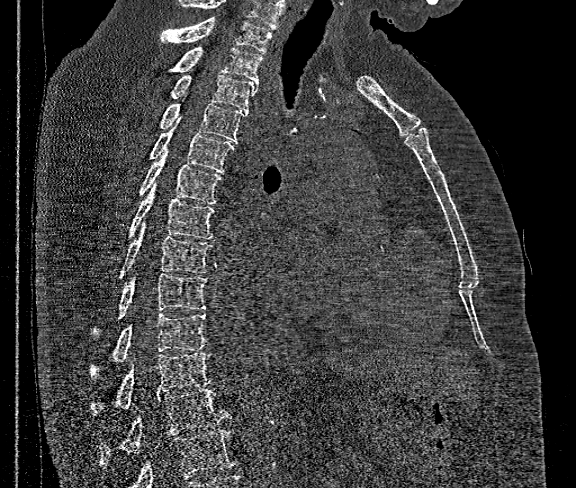

CT · sagittal view · W/L 1800/400 HU
No box is given to a vertebra that the bottom edge of the scan cuts off.
This scan's labels start at T1 at the top and end at T12 at the bottom.
<vertebrae><v name="T1" x1="160" y1="18" x2="272" y2="52"/><v name="T2" x1="168" y1="47" x2="262" y2="83"/><v name="T3" x1="170" y1="76" x2="258" y2="111"/><v name="T4" x1="159" y1="95" x2="246" y2="142"/><v name="T5" x1="148" y1="118" x2="234" y2="172"/><v name="T6" x1="139" y1="149" x2="221" y2="204"/><v name="T7" x1="128" y1="184" x2="215" y2="238"/><v name="T8" x1="118" y1="223" x2="212" y2="278"/><v name="T9" x1="92" y1="274" x2="207" y2="335"/><v name="T10" x1="89" y1="312" x2="207" y2="379"/><v name="T11" x1="91" y1="352" x2="212" y2="415"/><v name="T12" x1="99" y1="389" x2="231" y2="467"/></vertebrae>